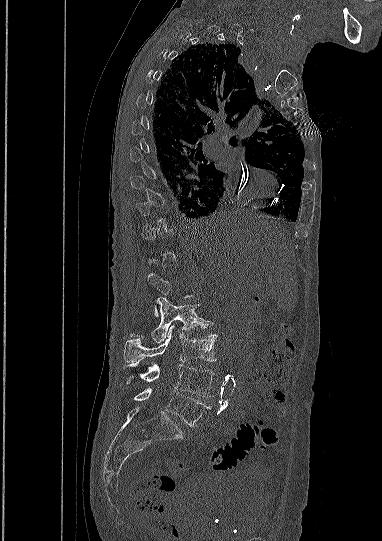 Spine CT. 382 mm wide. sagittal view
Each vertebra maps to its box as [x1, y1, x2, y2], the pixel coordinates of its top-left and bottom-right corners.
A vertebra gets a box only on the slices from the first to the last where its cross-section is at least a third of its largest; on a slice outside that range it gets none.
{"vertebrae":{"L2":[130,297,208,343],"L3":[124,325,216,362],"L4":[126,360,214,397],"L5":[134,388,211,426]}}